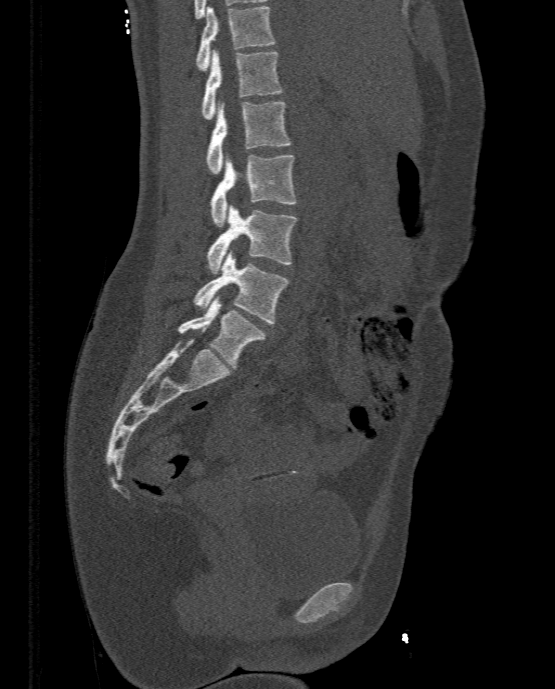

Computed tomography of the spine; sagittal view; bone window. Boxes: x1:y1:x2:y2 in pixels.
Vertebra bounding boxes:
- T11: 196:6:275:70
- T12: 201:49:282:119
- L1: 206:102:291:173
- L2: 209:154:297:226
- L3: 206:205:297:273
- L4: 193:250:288:323
- L5: 178:296:266:369